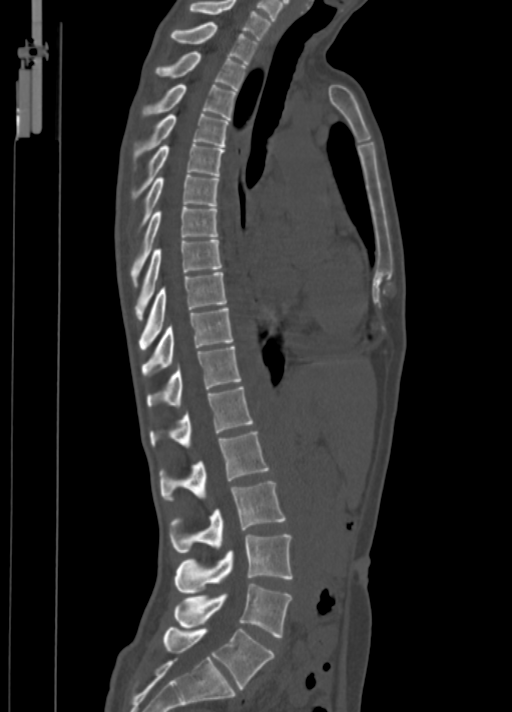 CT spine; sagittal view; 512x712 px

Boxes are (x1, y1, x2, y2) in pixels.
L5: (164, 626, 274, 689)
L4: (174, 584, 291, 637)
L3: (174, 534, 293, 593)
L2: (169, 481, 285, 552)
L1: (159, 432, 269, 501)
T12: (149, 386, 253, 447)
T11: (146, 345, 242, 407)
T10: (142, 307, 233, 376)
T9: (139, 272, 227, 349)
T8: (134, 240, 221, 319)
T7: (130, 206, 218, 286)
T6: (137, 174, 218, 232)
T5: (131, 143, 224, 202)
T4: (133, 114, 228, 169)
T3: (142, 85, 236, 119)
T2: (155, 51, 246, 90)
T1: (171, 22, 258, 63)
C7: (190, 0, 271, 38)